CT spine; sagittal view
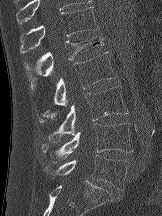 <vertebrae><v name="T12" x1="20" y1="7" x2="98" y2="53"/><v name="L1" x1="24" y1="36" x2="103" y2="86"/><v name="L2" x1="43" y1="52" x2="116" y2="117"/><v name="L3" x1="39" y1="86" x2="128" y2="142"/><v name="L4" x1="41" y1="123" x2="133" y2="163"/><v name="L5" x1="44" y1="155" x2="129" y2="190"/></vertebrae>